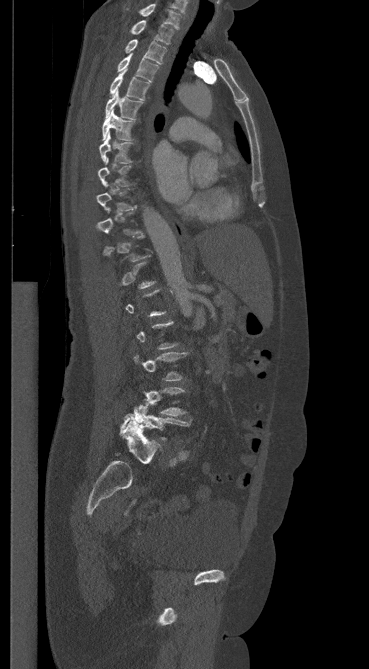
CT · the image is 369 mm wide · sagittal view

In the table, x1 and y1 are a box's top-left corner and x2 and y2 its bottom-right corner, in pixels.
A vertebra gets a box only on the slices from the first to the last where its cross-section is at least a third of its largest; on a slice outside that range it gets none.
| vertebra | x1 | y1 | x2 | y2 |
|---|---|---|---|---|
| L5 | 122 | 399 | 191 | 440 |
| L4 | 142 | 387 | 185 | 416 |
| T8 | 98 | 158 | 131 | 186 |
| T7 | 99 | 132 | 132 | 163 |
| T6 | 102 | 110 | 134 | 140 |
| T5 | 105 | 89 | 142 | 120 |
| T4 | 110 | 69 | 149 | 100 |
| T3 | 117 | 54 | 158 | 81 |
| T2 | 125 | 39 | 166 | 64 |
| T1 | 130 | 20 | 173 | 44 |
| C7 | 140 | 4 | 180 | 28 |